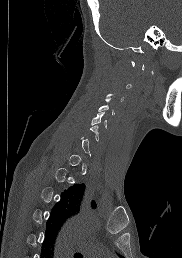

CT; sagittal reformat; 182x258 px; image 182 mm wide
Coordinates as <box>x1,y1,x2,y2</box>. A vertebra gets a box only on the slices from the first to the last where its cross-section is at least a third of its largest; on a slice outside that range it gets none. Vertebrae labeled: C5 at <box>91,112,107,127</box>, C4 at <box>98,98,115,114</box>.